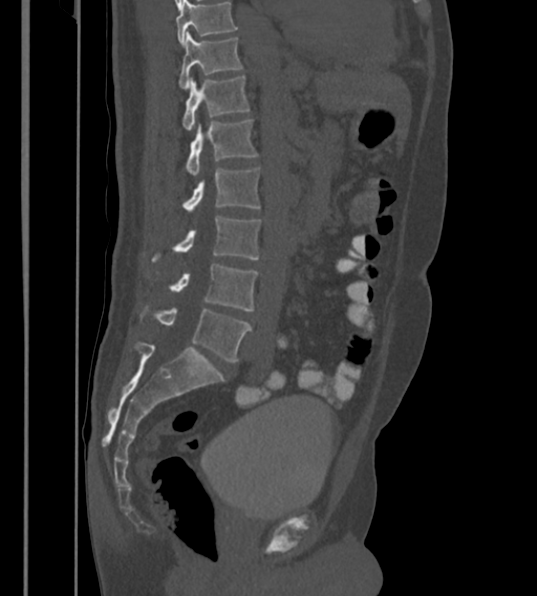

Spine CT; sagittal view; 430 mm across the image; Bone window (WL 400, WW 1800)
Coordinates as <box>x1,y1,x2,y2</box>.
Labels in this scan begin with T12 at the top and end with L6 at the bottom.
The labels name a sixth lumbar vertebra for this spine: L6, after L5.
Vertebra bounding boxes:
- T12: <box>178,31,241,89</box>
- L1: <box>182,76,249,130</box>
- L2: <box>186,119,258,177</box>
- L3: <box>184,167,260,215</box>
- L4: <box>176,215,260,259</box>
- L5: <box>171,264,258,310</box>
- L6: <box>141,309,252,363</box>